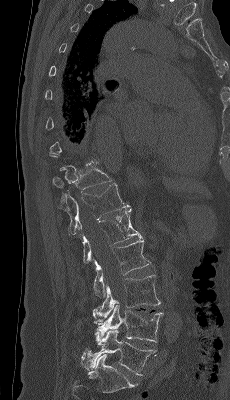 CT spine · sagittal view · 230x400 px
Coordinates as <box>x1,y1,x2,y2</box>.
Vertebra bounding boxes:
- T11: <box>52,161,114,202</box>
- T12: <box>64,183,130,236</box>
- L1: <box>79,208,141,264</box>
- L2: <box>93,237,150,297</box>
- L3: <box>94,275,160,317</box>
- L4: <box>92,301,163,342</box>
- L5: <box>84,330,156,375</box>